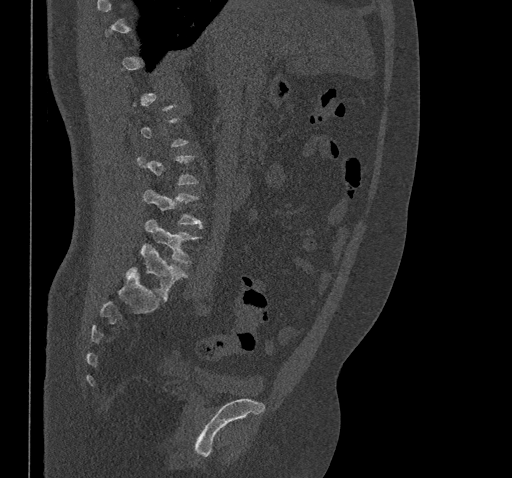
CT, spine — sagittal view — 512x478 px
Bounding boxes as [x1, y1, x2, y2] in pixel coordinates.
A vertebra is boxed only from the first to the last slice where its cross-section is at least a third of its largest; slices outside that range leave it without a box.
Vertebra bounding boxes:
- L3: [143, 189, 203, 228]
- L4: [145, 219, 198, 264]
- L5: [127, 244, 187, 300]